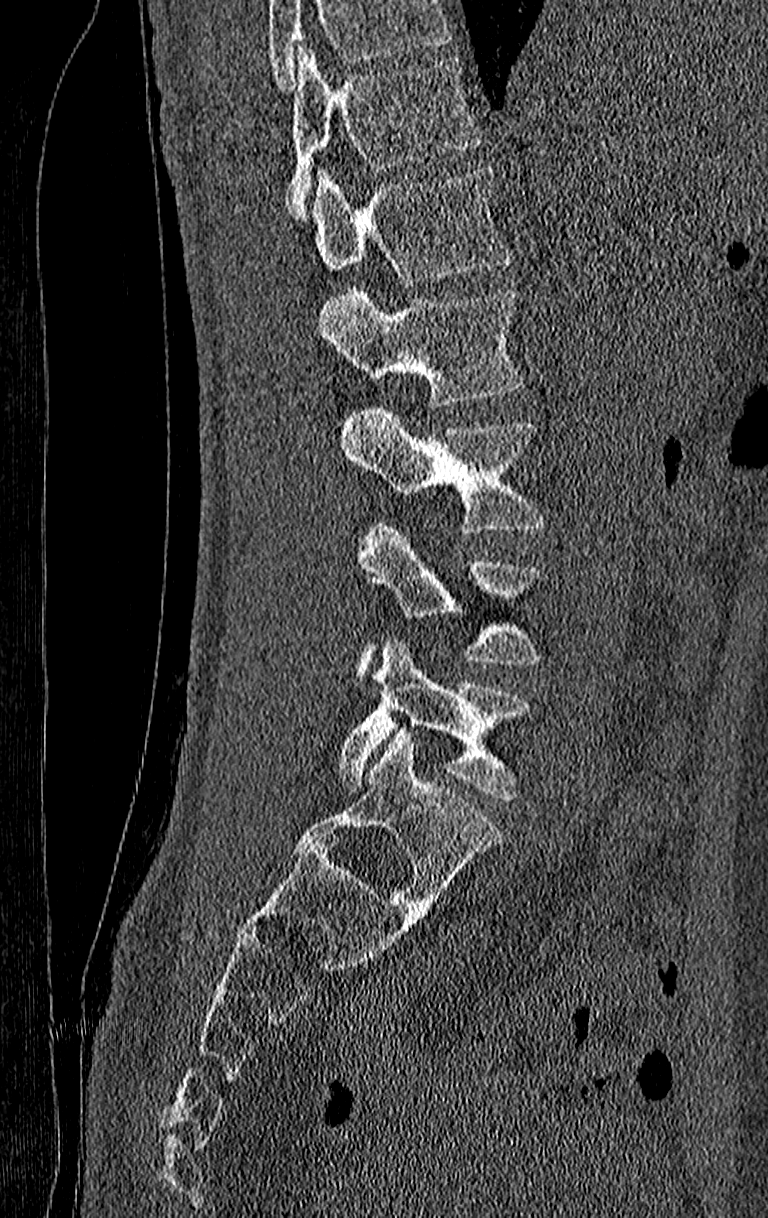

CT, spine · sagittal reformat
Boxes below are [x1, y1, x2, y2] in pixels.
Vertebrae that run past the top of the scan are left unlabeled.
In this scan, the topmost labeled vertebra is T11 and the lowest is L4.
{"vertebrae":{"L4":[339,640,532,800],"L3":[357,520,543,682],"L2":[342,403,546,534],"L1":[318,286,524,405],"T12":[313,166,510,285],"T11":[288,44,480,223]}}